CT · sagittal view · 340x297 px
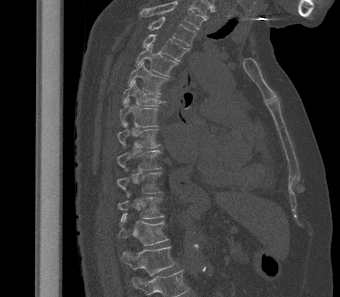

Boxes are (x1, y1, x2, y2) in pixels.
In this scan, the topmost labeled vertebra is T2 and the lowest is L1.
Vertebra bounding boxes:
- L1: (120, 246, 176, 275)
- T12: (118, 213, 169, 245)
- T11: (118, 193, 164, 222)
- T10: (117, 172, 165, 197)
- T9: (117, 150, 162, 171)
- T8: (117, 122, 160, 148)
- T7: (119, 98, 158, 127)
- T6: (123, 80, 165, 106)
- T5: (128, 61, 169, 94)
- T4: (135, 45, 178, 77)
- T3: (142, 34, 189, 61)
- T2: (147, 16, 196, 46)